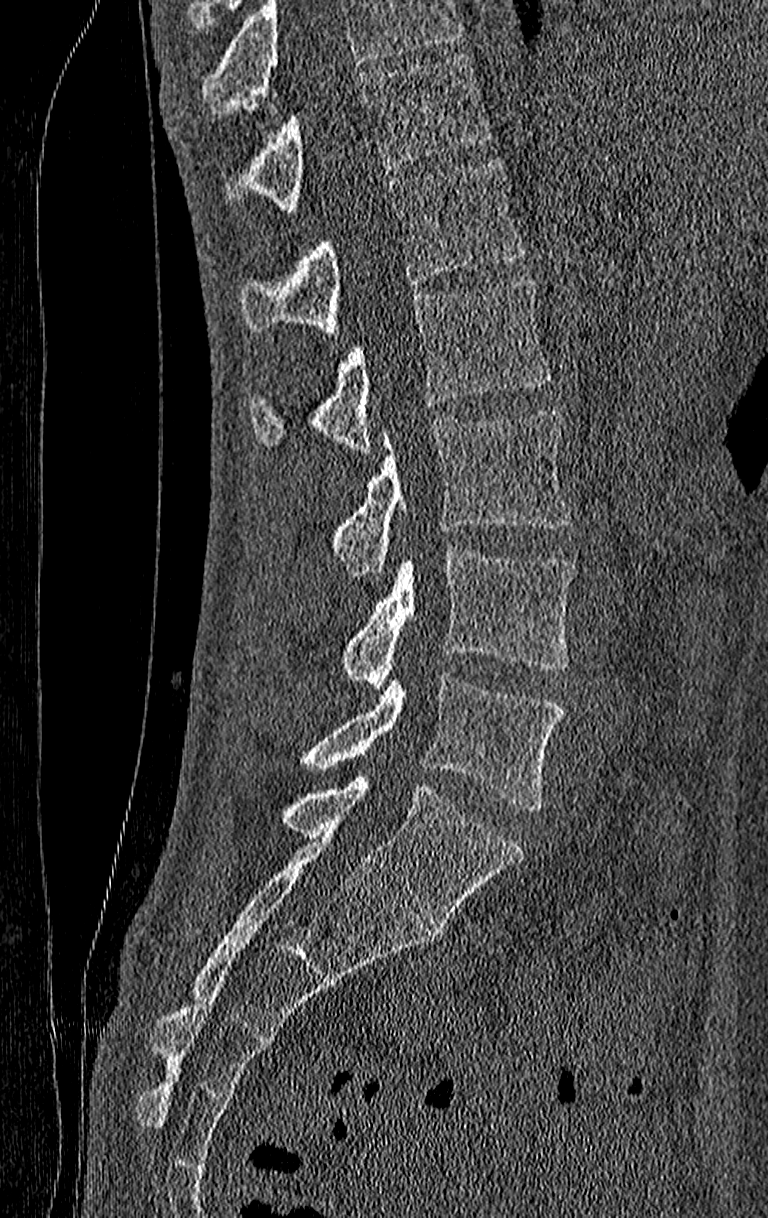 Spine CT; sagittal view; bone window

Box values are [left, top, right, bottom] in pixels.
No box is given to a vertebra that the top edge of the scan cuts off.
The highest labeled vertebra in this scan is T11; the lowest is L4.
{"vertebrae":{"L4":[295,673,565,812],"L3":[342,546,575,687],"L2":[328,410,572,573],"L1":[247,278,550,450],"T12":[240,158,524,333],"T11":[225,56,491,211]}}